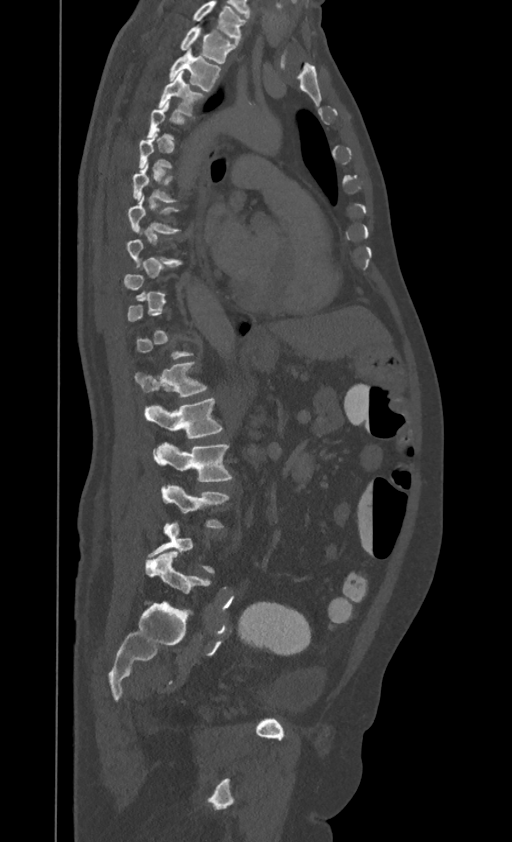

CT, spine; sagittal view; the image spans 395 mm across
Box edges are left/top/right/bottom in pixels. Each vertebra is boxed only on the slices from the first to the last where its cross-section reaches a third of its largest, so a slice outside that range leaves it unboxed. This scan's labels start at T1 at the top and end at L4 at the bottom. The labeled vertebrae in this slice are: T1 at left=180, top=26, right=235, bottom=63, T2 at left=168, top=48, right=221, bottom=91, T3 at left=158, top=71, right=202, bottom=116, T6 at left=133, top=161, right=175, bottom=202, T7 at left=128, top=195, right=179, bottom=233, T12 at left=135, top=362, right=206, bottom=397, L1 at left=144, top=398, right=222, bottom=439, L2 at left=153, top=443, right=232, bottom=481, L3 at left=161, top=484, right=228, bottom=527.